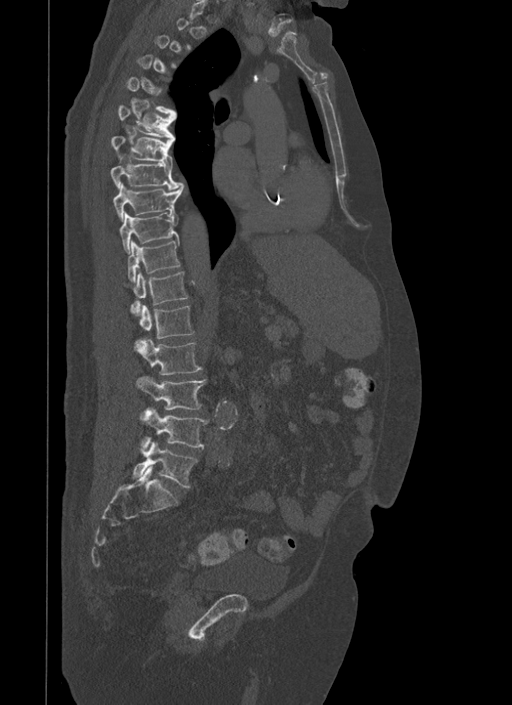
Computed tomography of the spine. sagittal view
In the table, x1 and y1 are a box's top-left corner and x2 and y2 its bottom-right corner, in pixels.
A vertebra gets a box only on the slices from the first to the last where its cross-section is at least a third of its largest; on a slice outside that range it gets none.
| vertebra | x1 | y1 | x2 | y2 |
|---|---|---|---|---|
| T6 | 117 | 104 | 175 | 139 |
| T7 | 110 | 136 | 172 | 163 |
| T8 | 110 | 163 | 181 | 189 |
| T9 | 112 | 183 | 183 | 220 |
| T10 | 119 | 212 | 178 | 253 |
| T11 | 127 | 239 | 181 | 282 |
| T12 | 123 | 270 | 188 | 313 |
| L1 | 140 | 304 | 194 | 338 |
| L2 | 135 | 337 | 202 | 375 |
| L3 | 137 | 377 | 206 | 410 |
| L4 | 142 | 408 | 208 | 449 |
| L5 | 134 | 441 | 197 | 487 |